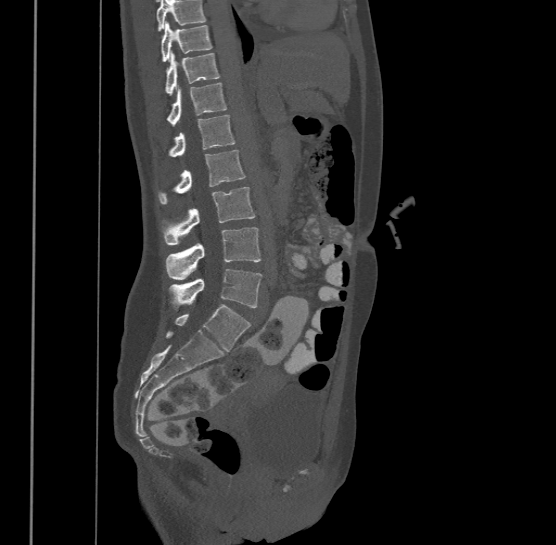 Spine computed tomography — sagittal view — bone window — 556x545 px

Each vertebra maps to its box as [x1, y1, x2, y2], the pixel coordinates of its top-left and bottom-right corners.
No box is given to a vertebra that the top edge of the scan cuts off.
The highest labeled vertebra in this scan is T9; the lowest is L4.
{"vertebrae":{"T9":[161,20,212,61],"T10":[166,50,220,93],"T11":[167,82,227,124],"T12":[169,114,236,155],"L1":[158,150,244,203],"L2":[162,186,255,243],"L3":[166,227,261,280],"L4":[170,268,263,311]}}